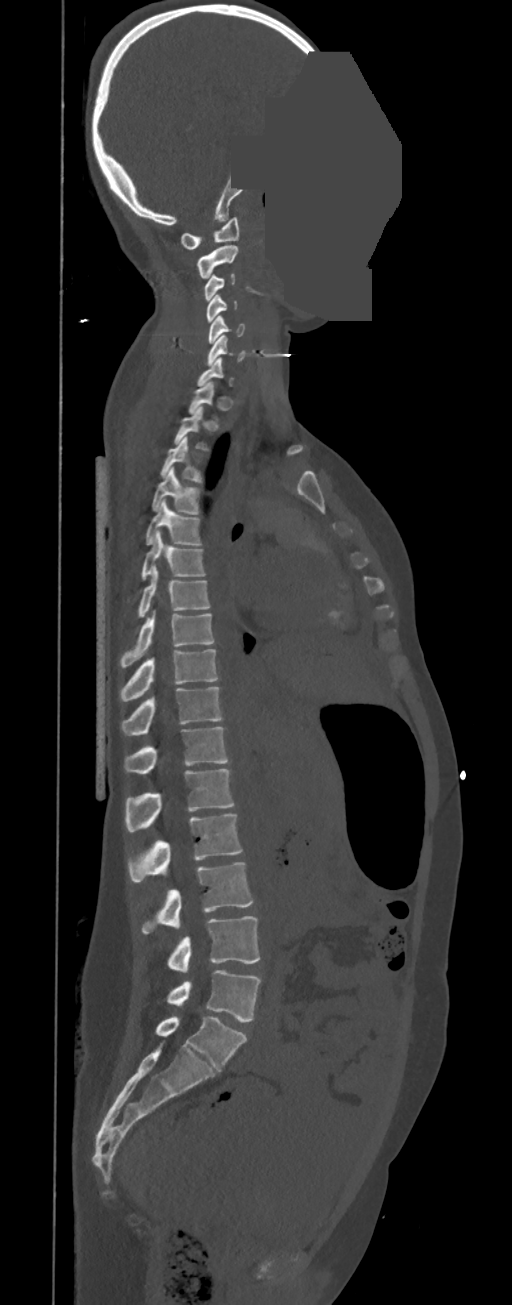 Spine CT — sagittal view — bone-window reconstruction — part of the image is a flat gray fill, not anatomy

Bounding boxes as [x1, y1, x2, y2] in pixel coordinates. A vertebra gets a box only on the slices from the first to the last where its cross-section is at least a third of its largest; on a slice outside that range it gets none. These labels give this spine no T12: after T11 the next vertebra is L1. The labeled vertebrae in this slice are: L5 at [168, 970, 261, 1022], L4 at [168, 916, 259, 972], L3 at [142, 862, 253, 934], L2 at [128, 814, 242, 881], L1 at [126, 769, 234, 832], T11 at [124, 727, 228, 774], T10 at [121, 687, 223, 735], T9 at [120, 649, 219, 701], T8 at [120, 611, 214, 668], T7 at [136, 567, 211, 618], T6 at [127, 531, 206, 601], T5 at [145, 499, 202, 545], T4 at [152, 466, 202, 514], T3 at [160, 436, 204, 483], T2 at [174, 406, 209, 451], T1 at [188, 382, 217, 418], C6 at [206, 334, 246, 366], C5 at [208, 316, 245, 343], C4 at [206, 294, 237, 323], C3 at [204, 274, 236, 300], C2 at [196, 245, 238, 278], C1 at [180, 217, 239, 249].